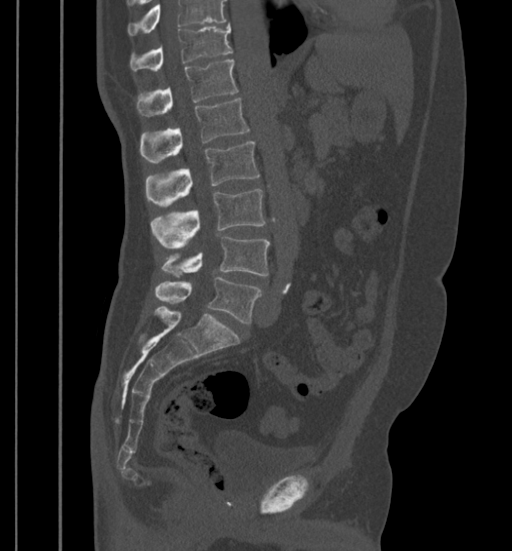 CT · sagittal view
Each vertebra maps to its box as [x1, y1, x2, y2], the pixel coordinates of its top-left and bottom-right corners.
A vertebra cut off by the top edge of the scan is not labeled and has no box.
{"vertebrae":{"T11":[129,24,232,71],"T12":[136,59,238,115],"L1":[140,99,249,163],"L2":[145,141,259,205],"L3":[150,188,266,247],"L4":[162,236,270,277],"L5":[155,277,261,323]}}